CT spine — sagittal reformat — Bone window (WL 400, WW 1800) — 512x880 px
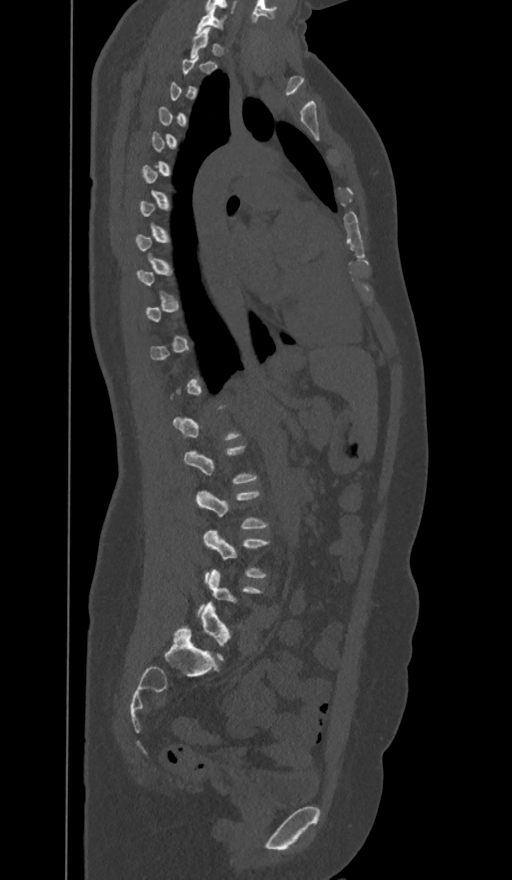

Coordinates as <box>x1,y1,x2,y2</box>. Not every vertebra on this slice has a box: a vertebra is boxed only from the first to the last slice where its cross-section is at least a third of its largest, and this slice is outside that range for at least one of them. The labels name a sixth lumbar vertebra for this spine: L6, after L5. Vertebrae labeled: L6 at <box>200,602,232,661</box>, L4 at <box>204,530,270,578</box>, L3 at <box>196,489,267,529</box>, C7 at <box>196,7,225,32</box>.